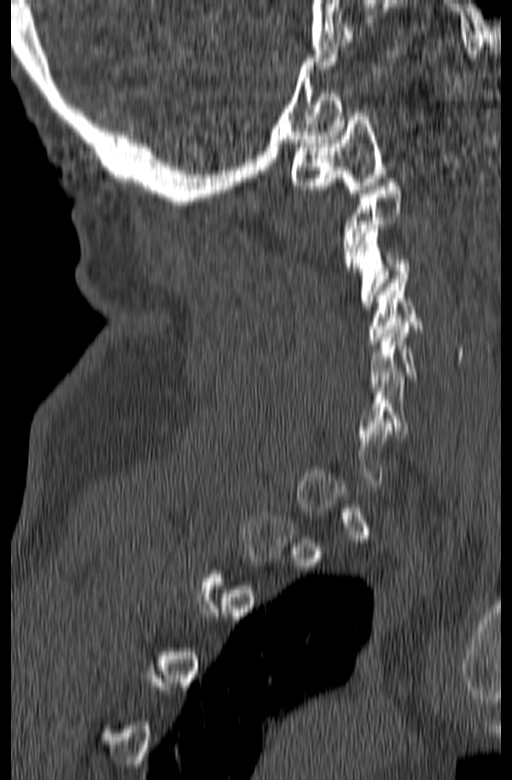

Spine computed tomography; sagittal view; bone window. In the table, x1 and y1 are a box's top-left corner and x2 and y2 its bottom-right corner, in pixels.
A vertebra is boxed only from the first to the last slice where its cross-section is at least a third of its largest; slices outside that range leave it without a box.
| vertebra | x1 | y1 | x2 | y2 |
|---|---|---|---|---|
| C5 | 367 | 322 | 419 | 391 |
| C4 | 369 | 272 | 422 | 344 |
| C3 | 352 | 225 | 411 | 309 |
| C1 | 290 | 112 | 385 | 197 |